Spine CT; sagittal reformat; 168x491 px
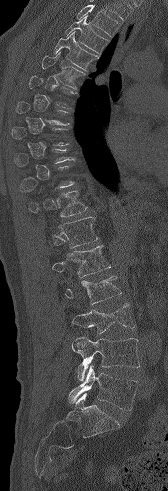

Box values are [left, top, right, bottom] in pixels.
Each vertebra is boxed only on the slices from the first to the last where its cross-section reaches a third of its largest, so a slice outside that range leaves it unboxed.
Where the top of the scan cuts through a vertebra, that vertebra gets no label or box.
{"vertebrae":{"T3":[64,15,108,53],"T4":[54,32,98,70],"T5":[41,52,85,89],"T11":[29,190,87,217],"T12":[58,217,98,248],"L1":[52,245,110,277],"L2":[65,276,121,304],"L3":[72,303,135,333],"L4":[71,336,139,381],"L5":[68,365,138,410]}}